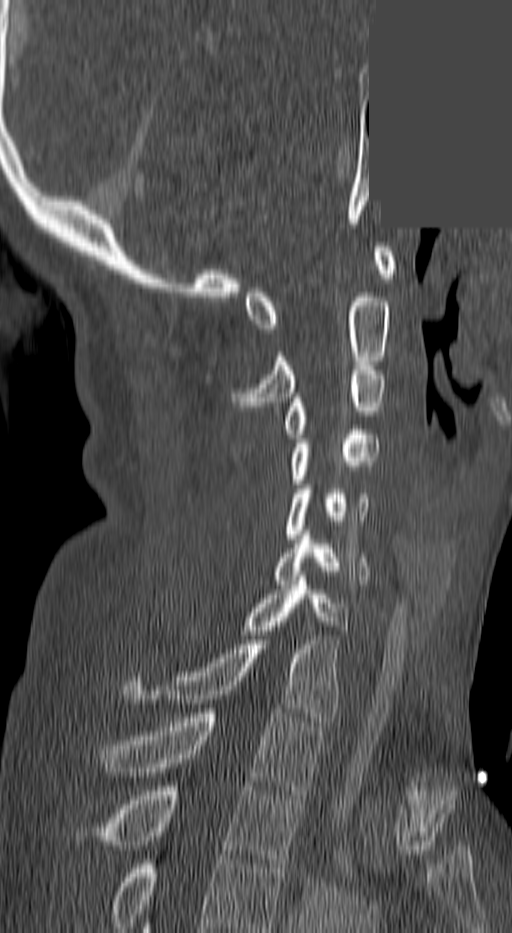

CT spine · sagittal reformat · some of the image was removed or blocked out with constant pixels
Bounding boxes as [x1, y1, x2, y2] in pixel coordinates. Labels in this scan begin with C1 at the top and end with T3 at the bottom. 10 vertebrae labeled — T3 at [104, 786, 300, 868]; T2 at [100, 709, 322, 794]; T1 at [126, 631, 338, 721]; C7 at [246, 576, 348, 630]; C6 at [276, 535, 368, 584]; C5 at [286, 485, 370, 538]; C4 at [288, 430, 377, 484]; C3 at [282, 366, 384, 438]; C2 at [235, 293, 392, 406]; C1 at [246, 247, 395, 333].